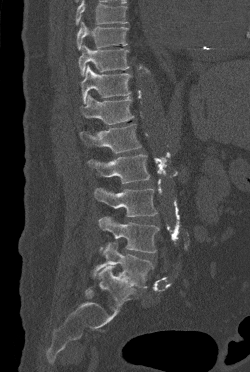 CT spine. sagittal view. bone-window reconstruction. 250 mm wide
Each row gives a vertebra's box as x1, y1, x2, y2 in pixels: top-left corner, then bottom-right corner.
Vertebrae that run past the top of the scan are left unlabeled.
| vertebra | x1 | y1 | x2 | y2 |
|---|---|---|---|---|
| T9 | 77 | 21 | 128 | 50 |
| T10 | 78 | 44 | 129 | 76 |
| T11 | 81 | 65 | 131 | 103 |
| T12 | 80 | 94 | 133 | 124 |
| L1 | 80 | 123 | 141 | 153 |
| L2 | 88 | 154 | 149 | 183 |
| L3 | 94 | 188 | 157 | 216 |
| L4 | 98 | 217 | 159 | 253 |
| L5 | 92 | 242 | 153 | 287 |